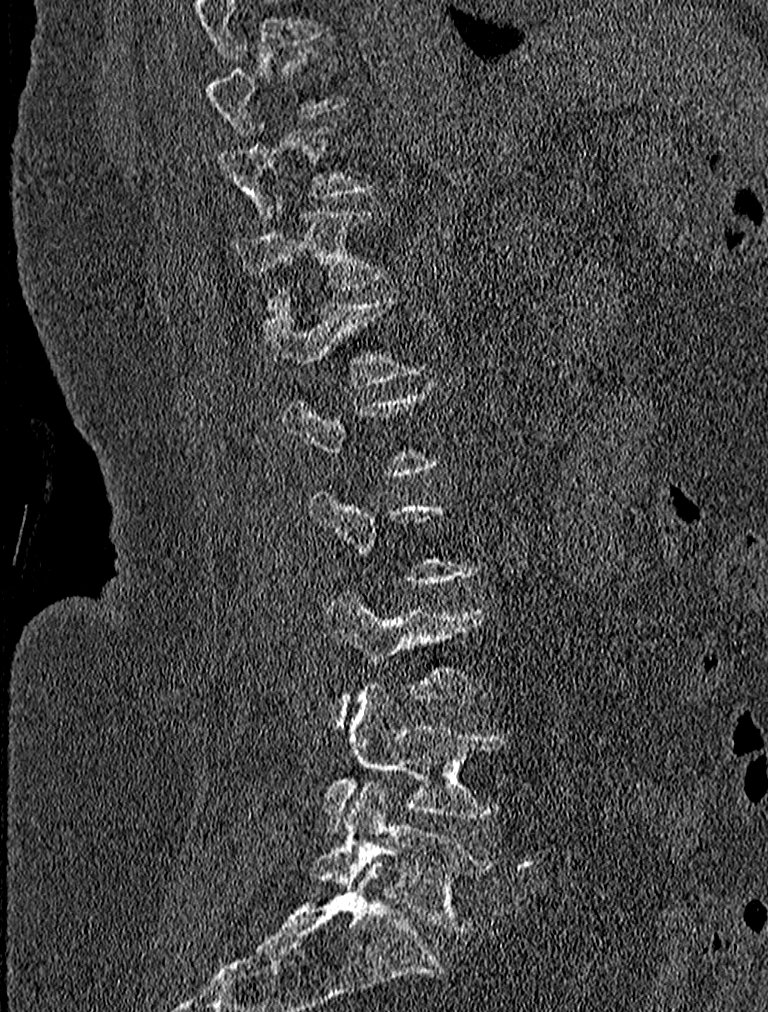
Computed tomography of the spine; sagittal view; Bone window (WL 400, WW 1800); 768x1012 px

Boxes are (x1, y1, x2, y2) in pixels.
A vertebra is boxed only from the first to the last slice where its cross-section is at least a third of its largest; slices outside that range leave it without a box.
T11: (236, 201, 384, 303)
T12: (260, 288, 417, 384)
L3: (327, 594, 483, 725)
L4: (324, 685, 509, 833)
L5: (310, 779, 492, 931)